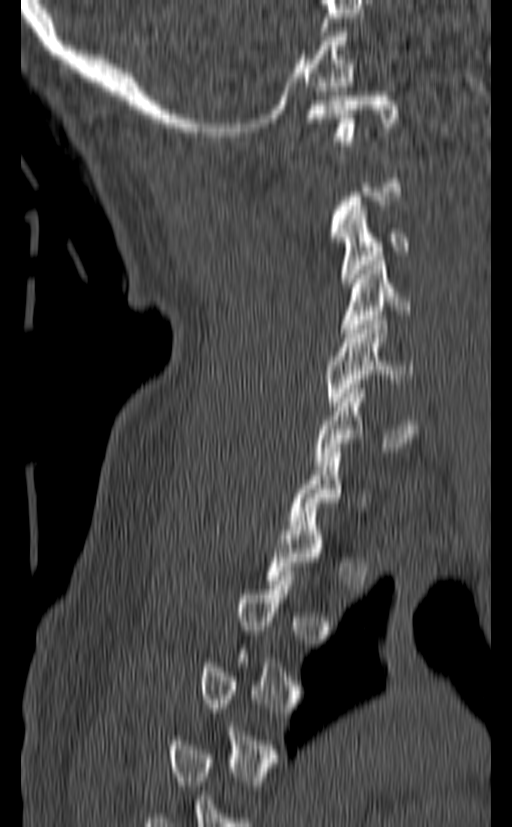 CT, spine · sagittal reformat
Boxes: x1 y1 x2 y2 (pixel coords, space-separated).
A vertebra gets a box only on the slices from the first to the last where its cross-section is at least a third of its largest; on a slice outside that range it gets none.
Vertebra bounding boxes:
- C1: 306 91 398 145
- C3: 338 206 408 287
- C4: 341 261 410 337
- C5: 327 320 414 406
- C6: 314 384 417 465
- C7: 288 448 369 529